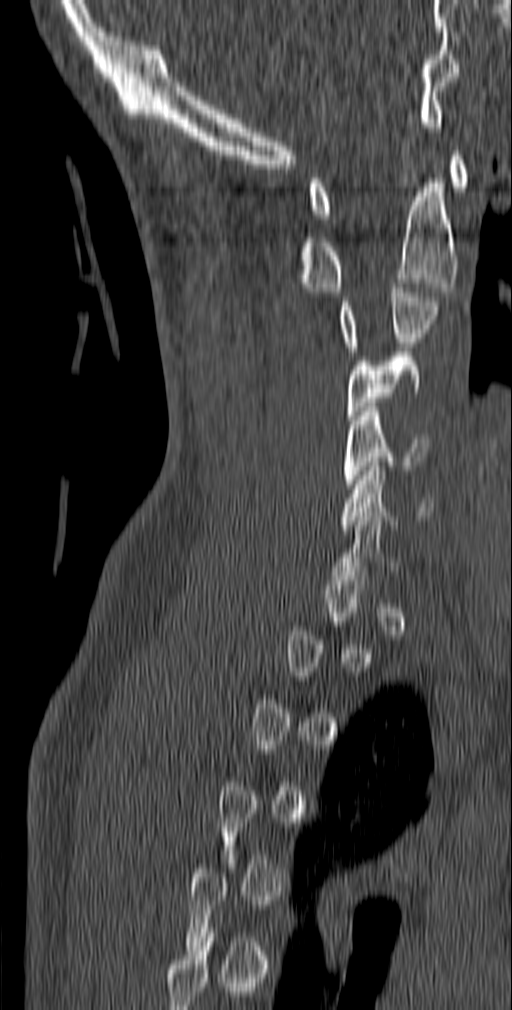

Spine computed tomography · image width 140 mm · sagittal view
Each box given as x1,y1,x2,y2.
A vertebra gets a box only on the slices from the first to the last where its cross-section is at least a third of its largest; on a slice outside that range it gets none.
| vertebra | x1 | y1 | x2 | y2 |
|---|---|---|---|---|
| C1 | 309 | 151 | 468 | 218 |
| C2 | 298 | 174 | 458 | 292 |
| C3 | 338 | 283 | 439 | 351 |
| C4 | 347 | 352 | 421 | 420 |
| C5 | 344 | 407 | 430 | 488 |
| C6 | 340 | 462 | 433 | 529 |